Spine CT — Sagittal slice 312/512 — 150 mm image width
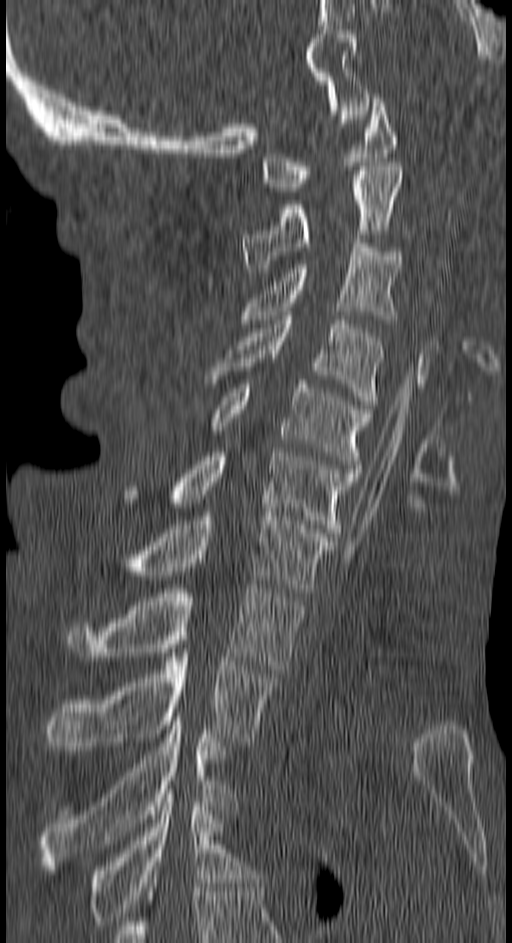 <vertebrae><v name="C1" x1="261" y1="98" x2="396" y2="191"/><v name="C2" x1="243" y1="166" x2="403" y2="272"/><v name="C3" x1="240" y1="243" x2="400" y2="323"/><v name="C4" x1="206" y1="316" x2="383" y2="404"/><v name="C5" x1="213" y1="380" x2="372" y2="468"/><v name="C6" x1="172" y1="452" x2="359" y2="537"/><v name="C7" x1="131" y1="512" x2="335" y2="596"/><v name="T1" x1="69" y1="585" x2="303" y2="673"/><v name="T2" x1="46" y1="649" x2="277" y2="746"/><v name="T3" x1="39" y1="721" x2="236" y2="869"/><v name="T4" x1="90" y1="789" x2="256" y2="925"/></vertebrae>